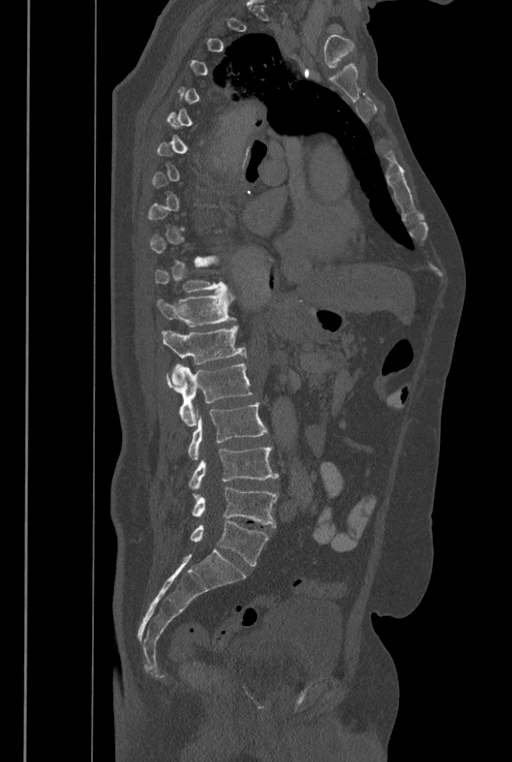 CT — sagittal view — Bone window (WL 400, WW 1800) — 512x762 px
Box values are [left, top, right, bottom] in pixels.
A vertebra gets a box only on the slices from the first to the last where its cross-section is at least a third of its largest; on a slice outside that range it gets none.
In these labels the spine has an L6, a sixth lumbar vertebra below L5.
{"vertebrae":{"T11":[155,258,227,292],"T12":[156,291,236,327],"L1":[162,325,246,384],"L2":[166,363,253,426],"L3":[188,402,268,460],"L4":[188,446,278,492],"L5":[192,487,278,527],"L6":[190,521,268,565]}}